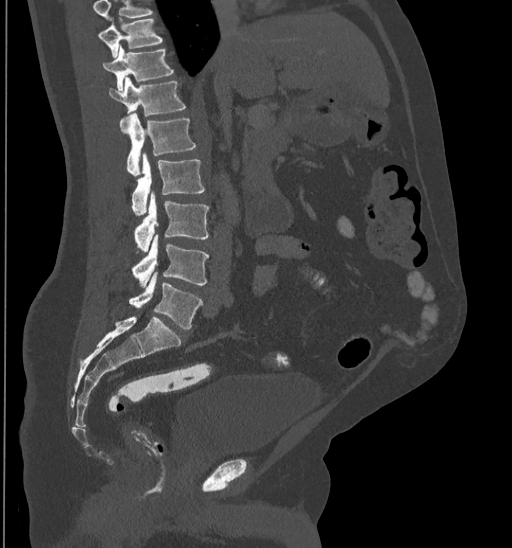 Spine computed tomography; 435 mm wide; sagittal view
Boxes below are [x1, y1, x2, y2] in pixels.
A vertebra cut off by the top edge of the scan is not labeled and has no box.
{"vertebrae":{"L5":[128,272,203,330],"L4":[132,235,208,287],"L3":[134,193,208,251],"L2":[132,154,205,215],"L1":[121,113,195,176],"T12":[109,76,186,124],"T11":[102,46,173,92],"T10":[99,18,163,57]}}